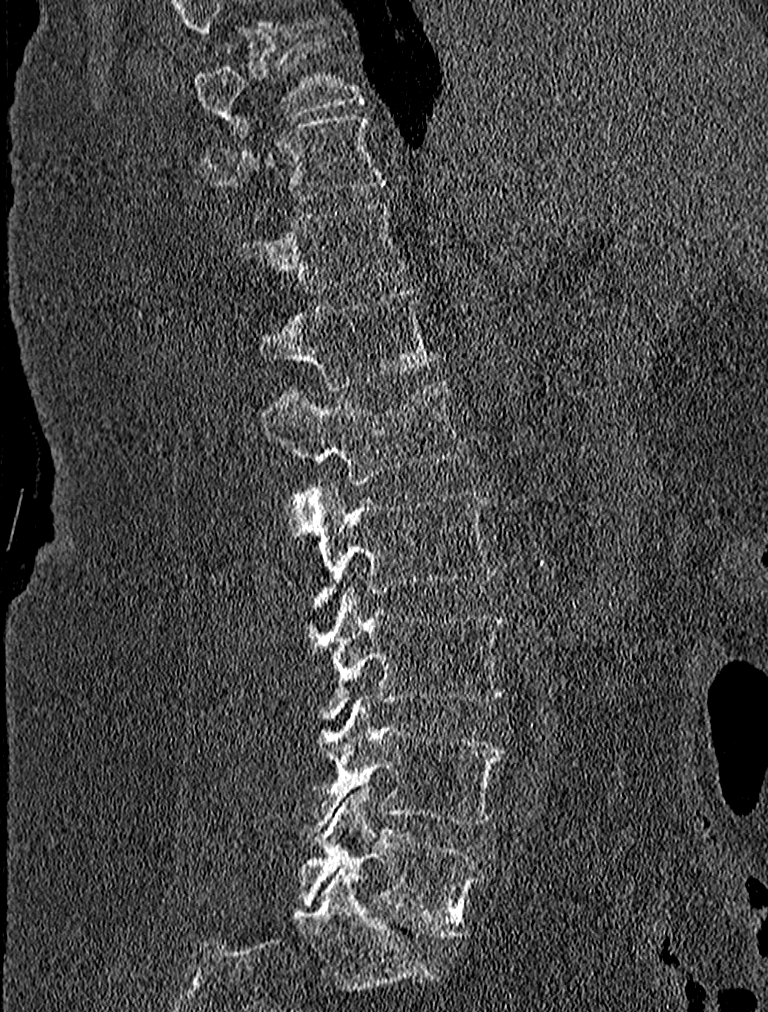
CT · 227 mm image width · sagittal view
Labels in this scan begin with T9 at the top and end with L5 at the bottom.
<vertebrae><v name="L5" x1="300" y1="787" x2="485" y2="938"/><v name="L4" x1="295" y1="699" x2="507" y2="833"/><v name="L3" x1="307" y1="588" x2="509" y2="718"/><v name="L2" x1="286" y1="481" x2="499" y2="617"/><v name="L1" x1="261" y1="379" x2="468" y2="486"/><v name="T12" x1="258" y1="288" x2="438" y2="389"/><v name="T11" x1="232" y1="199" x2="404" y2="293"/><v name="T10" x1="203" y1="111" x2="387" y2="218"/><v name="T9" x1="195" y1="38" x2="363" y2="136"/></vertebrae>